CT, spine. Sagittal slice 344/512. 180 mm wide. W/L 1800/400 HU. scan covers 12 annotated vertebrae
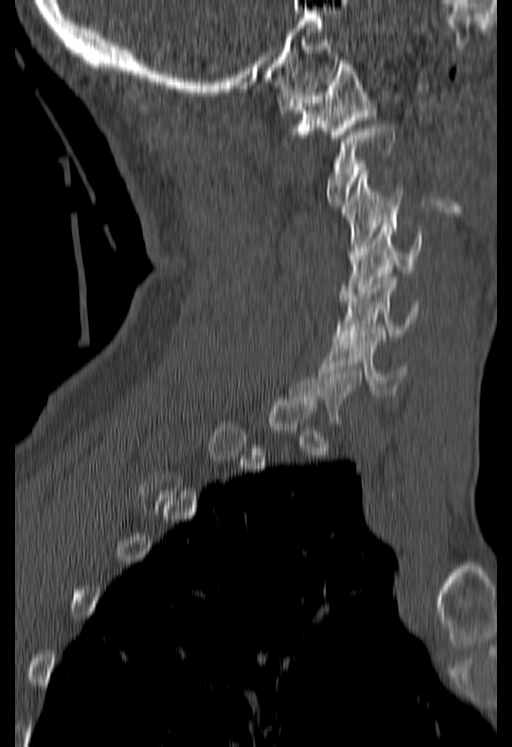

Boxes: x1:y1:x2:y2 in pixels.
A vertebra gets a box only on the slices from the first to the last where its cross-section is at least a third of its largest; on a slice outside that range it gets none.
C1: 278:60:373:141
C2: 325:124:395:205
C3: 342:171:403:259
C4: 339:220:421:301
C5: 333:274:418:340
C6: 321:331:407:394